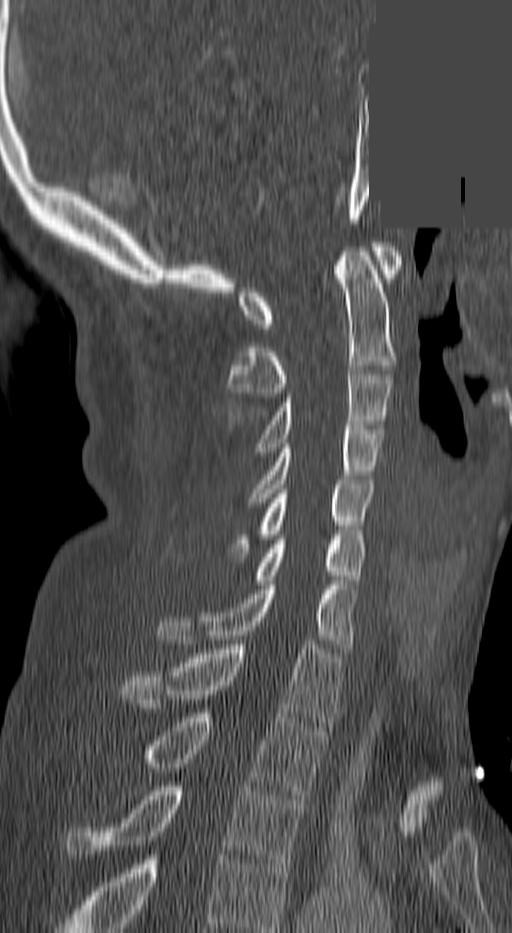
Spine CT; sagittal view; the image is 140 mm wide; some of the image was removed or blocked out with constant pixels. Bounding boxes as [x1, y1, x2, y2] in pixel coordinates. The highest labeled vertebra in this scan is C1; the lowest is T3. The labeled vertebrae in this slice are: T3 at [67, 786, 304, 868], T2 at [140, 713, 323, 794], T1 at [122, 640, 340, 726], C7 at [159, 585, 355, 648], C6 at [254, 539, 366, 584], C5 at [232, 480, 373, 557], C4 at [250, 425, 384, 502], C3 at [257, 370, 392, 452], C2 at [228, 247, 395, 397], C1 at [239, 242, 399, 328].